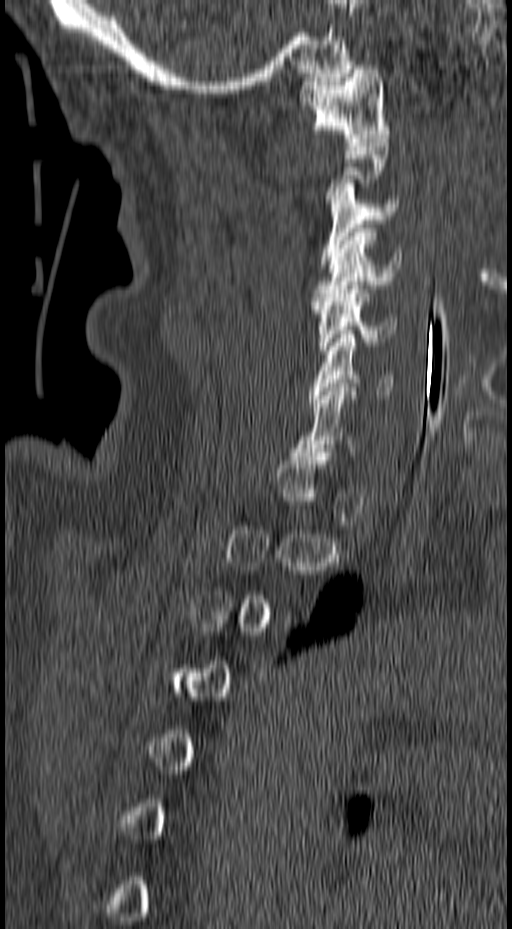

CT spine; sagittal reformat

Each box is [x1, y1, x2, y2] in pixels: top-left corner, then bottom-right corner.
A vertebra is boxed only from the first to the last slice where its cross-section is at least a third of its largest; slices outside that range leave it without a box.
{"vertebrae":{"C1":[297,65,390,142],"C3":[319,183,398,264],"C4":[311,228,401,305],"C5":[311,285,397,354],"C6":[309,334,394,398],"C7":[293,387,356,456]}}